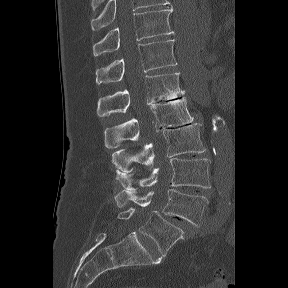
CT, spine — sagittal reformat — the image spans 288 mm across — 288x288 px. Boxes: x1:y1:x2:y2 in pixels.
The labels name a sixth lumbar vertebra for this spine: L6, after L5.
Vertebra bounding boxes:
- T11: 93:6:174:56
- T12: 95:39:177:84
- L1: 97:73:184:116
- L2: 104:97:193:148
- L3: 112:123:205:172
- L4: 115:158:210:189
- L5: 114:189:208:226
- L6: 117:208:186:256